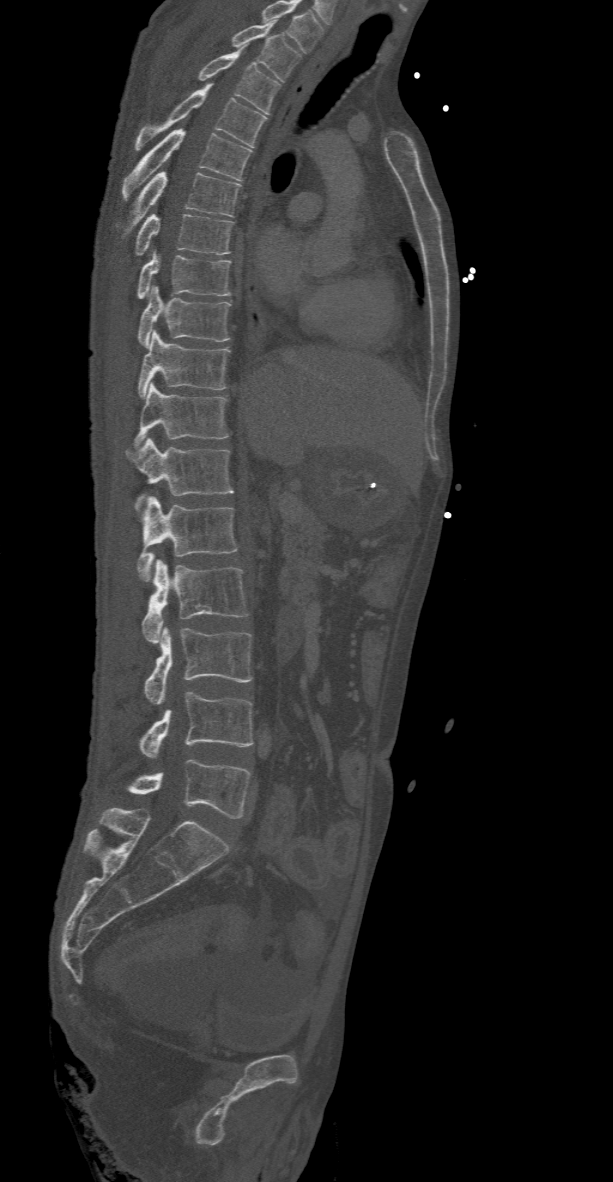
CT, spine; image width 368 mm; sagittal view; W/L 1800/400 HU
Each box given as x1,y1,x2,y2.
This scan's labels start at T2 at the top and end at L5 at the bottom.
| vertebra | x1 | y1 | x2 | y2 |
|---|---|---|---|---|
| T2 | 230 | 21 | 301 | 82 |
| T3 | 195 | 45 | 281 | 113 |
| T4 | 134 | 83 | 267 | 150 |
| T5 | 121 | 129 | 252 | 200 |
| T6 | 132 | 171 | 241 | 223 |
| T7 | 137 | 214 | 233 | 255 |
| T8 | 138 | 249 | 230 | 298 |
| T9 | 138 | 286 | 230 | 348 |
| T10 | 138 | 331 | 230 | 396 |
| T11 | 134 | 382 | 227 | 446 |
| T12 | 125 | 437 | 233 | 509 |
| L1 | 137 | 496 | 237 | 581 |
| L2 | 141 | 559 | 248 | 643 |
| L3 | 145 | 627 | 252 | 705 |
| L4 | 140 | 692 | 252 | 758 |
| L5 | 129 | 759 | 251 | 818 |